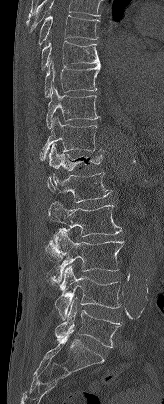
Spine CT; sagittal reformat; bone-window reconstruction

This scan's labels start at T7 at the top and end at L5 at the bottom.
<vertebrae><v name="T7" x1="38" y1="15" x2="99" y2="45"/><v name="T8" x1="41" y1="41" x2="100" y2="70"/><v name="T9" x1="44" y1="60" x2="100" y2="97"/><v name="T10" x1="46" y1="86" x2="99" y2="128"/><v name="T11" x1="40" y1="117" x2="101" y2="160"/><v name="T12" x1="47" y1="144" x2="104" y2="170"/><v name="L1" x1="47" y1="172" x2="111" y2="202"/><v name="L2" x1="44" y1="201" x2="121" y2="260"/><v name="L3" x1="52" y1="229" x2="123" y2="284"/><v name="L4" x1="54" y1="265" x2="120" y2="319"/><v name="L5" x1="54" y1="298" x2="122" y2="347"/></vertebrae>